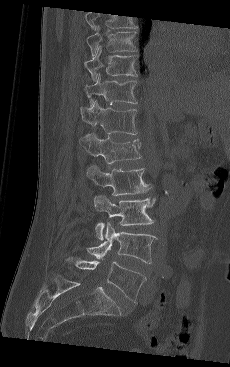 CT spine. 230 mm wide. sagittal view. 230x367 px
Boxes: x1:y1:x2:y2 in pixels. The highest labeled vertebra in this scan is T9; the lowest is L5. The labeled vertebrae in this slice are: T9 at 86:26:138:57, T10 at 84:47:138:81, T11 at 85:73:137:104, T12 at 80:100:137:134, L1 at 80:132:141:164, L2 at 86:164:150:196, L3 at 93:194:155:240, L4 at 86:222:156:263, L5 at 65:256:146:302.